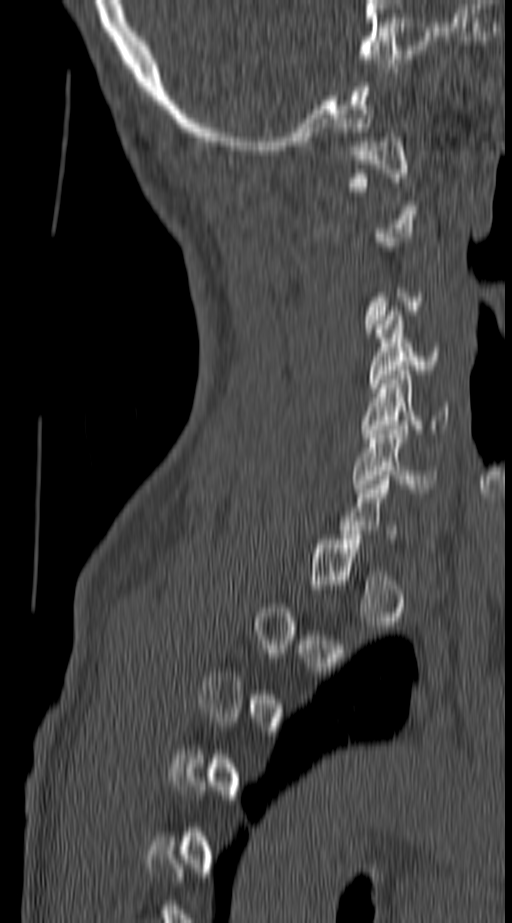
Spine CT — sagittal view
Bounding boxes as [x1, y1, x2, y2] in pixel coordinates.
Not every vertebra on this slice has a box: a vertebra is boxed only from the first to the last slice where its cross-section is at least a third of its largest, and this slice is outside that range for at least one of them.
Vertebra bounding boxes:
- C1: [349, 137, 408, 205]
- C4: [371, 311, 441, 388]
- C5: [361, 370, 449, 442]
- C6: [351, 425, 439, 493]